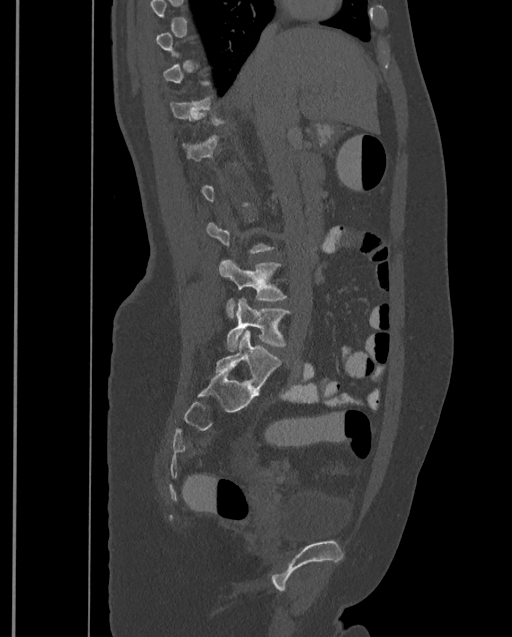 Spine CT — sagittal reformat
Boxes: x1:y1:x2:y2 in pixels.
A vertebra gets a box only on the slices from the first to the last where its cross-section is at least a third of its largest; on a slice outside that range it gets none.
In this scan, the topmost labeled vertebra is T9 and the lowest is L4.
L4: 226:298:290:350
L3: 218:259:286:318